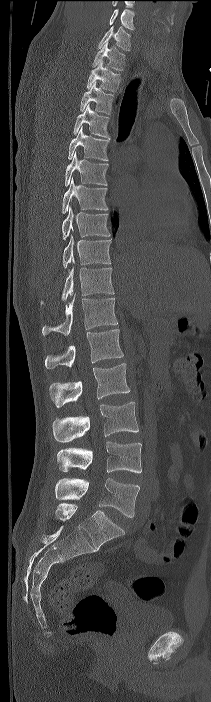 CT; the image spans 211 mm across; sagittal view; Bone window (WL 400, WW 1800)
Each box given as x1,y1,x2,y2. This scan's labels start at C7 at the top and end at L4 at the bottom. The labeled vertebrae in this slice are: C7 at x1=98, y1=26, x2=130, y2=50, T1 at x1=92, y1=42, x2=125, y2=70, T2 at x1=86, y1=61, x2=121, y2=93, T3 at x1=80, y1=81, x2=114, y2=114, T4 at x1=73, y1=104, x2=110, y2=137, T5 at x1=68, y1=126, x2=109, y2=160, T6 at x1=65, y1=151, x2=108, y2=186, T7 at x1=62, y1=178, x2=108, y2=213, T8 at x1=62, y1=206, x2=109, y2=239, T9 at x1=63, y1=235, x2=111, y2=268, T10 at x1=41, y1=266, x2=114, y2=304, T11 at x1=42, y1=293, x2=117, y2=335, T12 at x1=45, y1=329, x2=123, y2=368, L1 at x1=49, y1=363, x2=130, y2=407, L2 at x1=52, y1=402, x2=138, y2=442, L3 at x1=57, y1=441, x2=141, y2=473, L4 at x1=55, y1=478, x2=139, y2=517.